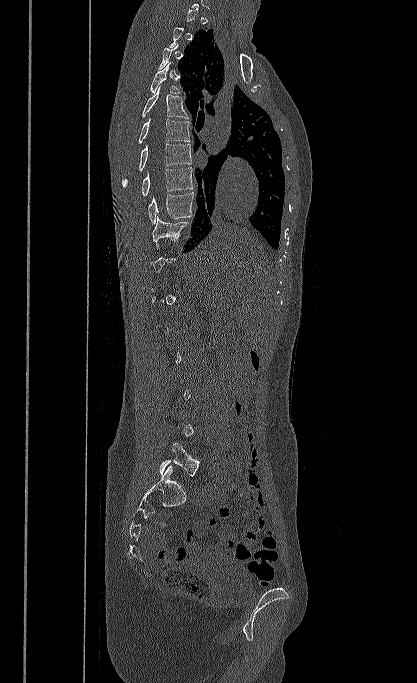

Spine CT; sagittal view
Bounding boxes as [x1, y1, x2, y2] in pixel coordinates. Each vertebra is boxed only on the slices from the first to the last where its cross-section reaches a third of its largest, so a slice outside that range leaves it unboxed. Vertebrae labeled: T4 at [150, 63, 181, 94], T5 at [142, 86, 188, 118], T6 at [138, 118, 190, 143], T7 at [122, 143, 192, 187], T8 at [142, 167, 193, 196], T9 at [148, 192, 194, 224], T10 at [152, 216, 191, 248], L5 at [159, 442, 199, 476].